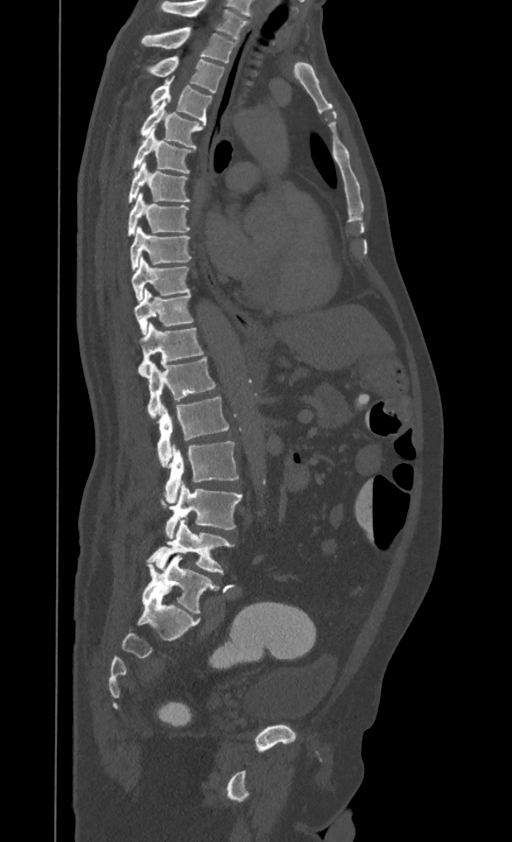 CT, spine — sagittal reformat — bone window
In this scan, the topmost labeled vertebra is T1 and the lowest is L4.
<vertebrae><v name="T1" x1="141" y1="27" x2="236" y2="62"/><v name="T2" x1="145" y1="56" x2="224" y2="92"/><v name="T3" x1="150" y1="76" x2="211" y2="124"/><v name="T4" x1="140" y1="101" x2="205" y2="148"/><v name="T5" x1="132" y1="128" x2="193" y2="173"/><v name="T6" x1="128" y1="161" x2="189" y2="203"/><v name="T7" x1="127" y1="192" x2="189" y2="236"/><v name="T8" x1="129" y1="226" x2="191" y2="270"/><v name="T9" x1="131" y1="257" x2="189" y2="302"/><v name="T10" x1="135" y1="289" x2="193" y2="335"/><v name="T11" x1="139" y1="323" x2="204" y2="376"/><v name="T12" x1="148" y1="356" x2="215" y2="418"/><v name="L1" x1="157" y1="397" x2="228" y2="467"/><v name="L2" x1="164" y1="441" x2="239" y2="503"/><v name="L3" x1="164" y1="482" x2="241" y2="538"/><v name="L4" x1="148" y1="516" x2="235" y2="573"/></vertebrae>